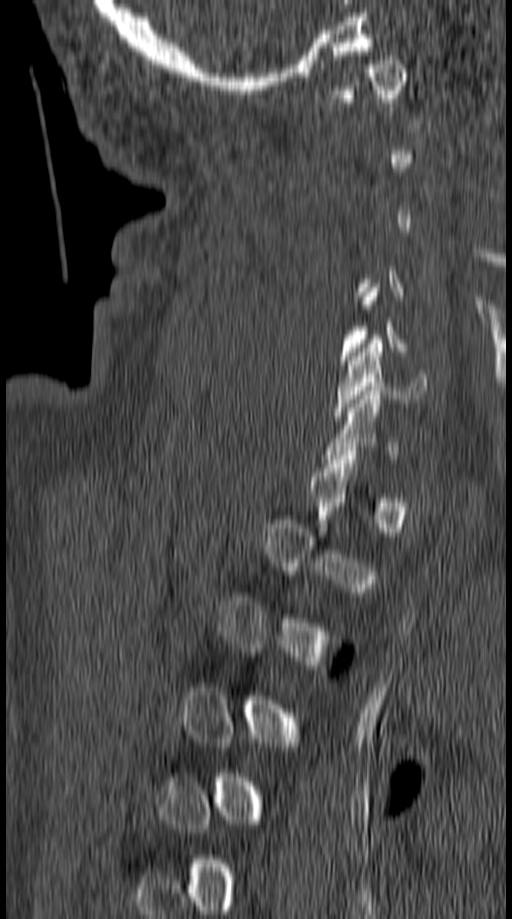 Spine computed tomography; sagittal view; W/L 1800/400 HU; 512x919 px. Boxes: x1 y1 x2 y2 (pixel coords, space-separated).
A vertebra is boxed only from the first to the last slice where its cross-section is at least a third of its largest; slices outside that range leave it without a box.
C6: 333 339 430 420
C1: 340 56 406 111